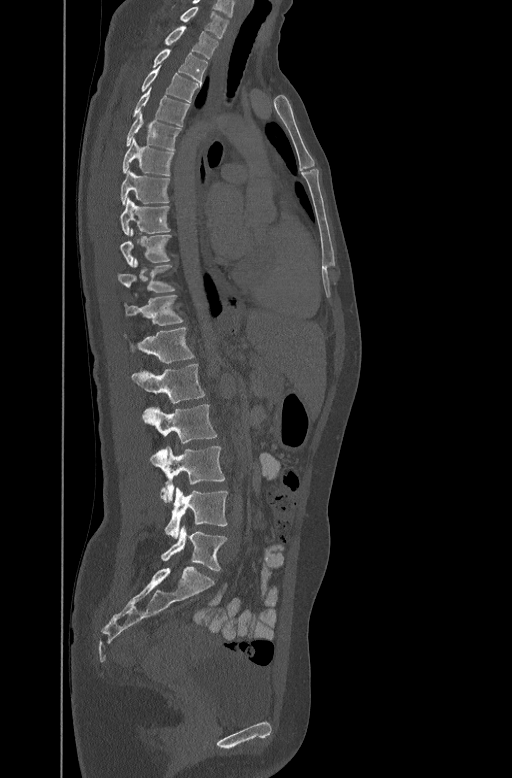 Computed tomography of the spine. sagittal reformat. W/L 1800/400 HU. 512x778 px. Boxes: x1:y1:x2:y2 in pixels.
C7: 180:5:229:37
T1: 164:26:218:58
T2: 152:48:207:81
T3: 141:67:201:100
T4: 133:87:189:125
T5: 125:111:181:148
T6: 122:137:173:174
T7: 120:169:170:204
T8: 120:197:170:233
T9: 120:228:171:267
T10: 118:259:175:291
T11: 125:294:183:324
T12: 124:326:194:362
L1: 132:363:205:403
L2: 142:404:217:443
L3: 150:446:225:502
L4: 160:488:227:538
L5: 160:527:227:571